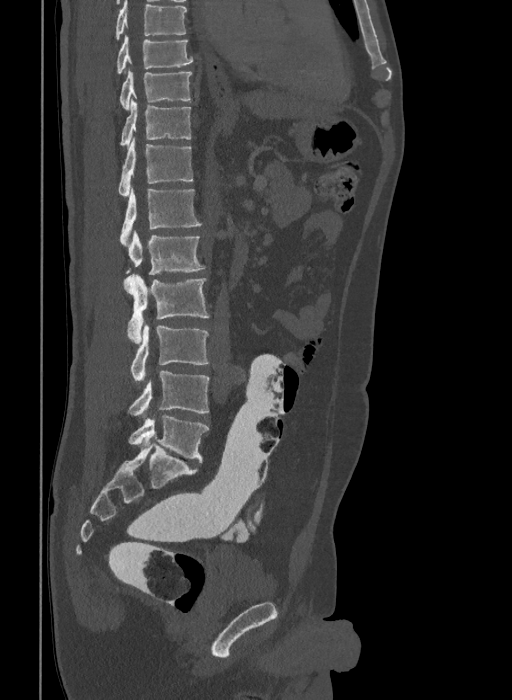 Spine computed tomography — sagittal view — bone-window reconstruction — 512x700 px — image width 409 mm. Boxes are (x1, y1, x2, y2) in pixels.
Labels in this scan begin with T9 at the top and end with L6 at the bottom.
In these labels the spine has an L6, a sixth lumbar vertebra below L5.
T9: (116, 35, 193, 74)
T10: (119, 70, 192, 109)
T11: (120, 98, 192, 148)
T12: (118, 137, 193, 197)
L1: (120, 188, 202, 245)
L2: (125, 231, 205, 274)
L3: (124, 274, 209, 343)
L4: (131, 324, 209, 381)
L5: (128, 371, 209, 415)
L6: (128, 416, 209, 462)